Spine CT · Sagittal slice 236/512 · bone window · 512x842 px
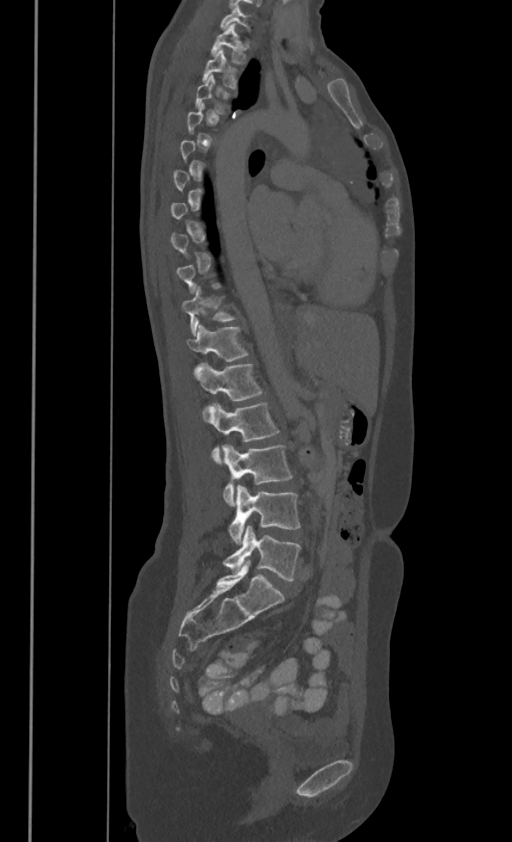 Boxes: x1 y1 x2 y2 (pixel coords, space-separated).
A vertebra gets a box only on the slices from the first to the last where its cross-section is at least a third of its largest; on a slice outside that range it gets none.
In these labels the thoracic vertebrae end at T11, so L1 follows T11.
C7: 220 5 250 29
T1: 211 23 246 62
T2: 203 48 236 87
T3: 195 74 230 112
T10: 182 285 235 334
T11: 187 324 248 369
L1: 195 362 261 407
L2: 208 401 279 462
L3: 223 445 292 505
L4: 228 485 300 543
L5: 223 526 300 580